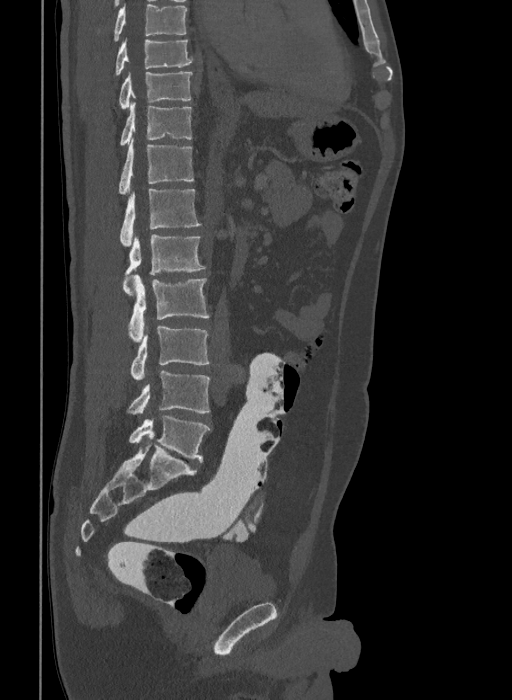
CT; sagittal view; W/L 1800/400 HU; 512x700 px

Columns x1, y1, x2, y2 give each box's top-left and bottom-right pixels.
Labels in this scan begin with T9 at the top and end with L6 at the bottom.
The labels name a sixth lumbar vertebra for this spine: L6, after L5.
| vertebra | x1 | y1 | x2 | y2 |
|---|---|---|---|---|
| L6 | 129 | 416 | 209 | 462 |
| L5 | 128 | 371 | 209 | 414 |
| L4 | 130 | 326 | 209 | 380 |
| L3 | 129 | 275 | 209 | 342 |
| L2 | 123 | 234 | 205 | 295 |
| L1 | 120 | 189 | 202 | 246 |
| T12 | 119 | 137 | 193 | 194 |
| T11 | 120 | 101 | 192 | 145 |
| T10 | 119 | 71 | 192 | 108 |
| T9 | 115 | 38 | 193 | 76 |